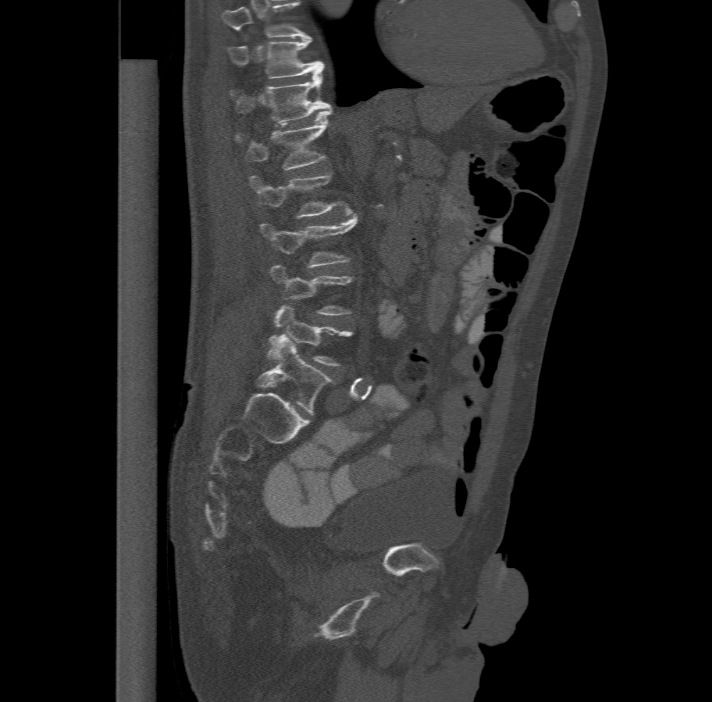 CT spine — the image is 477 mm wide — sagittal view
Coordinates as <box>x1,y1,x2,y2</box>. This scan's labels start at T11 at the top and end at L6 at the bottom. These labels give the spine a sixth lumbar vertebra, L6, below L5. Vertebrae labeled: T11 at <box>227,36,323,78</box>, T12 at <box>231,70,330,124</box>, L1 at <box>236,109,330,169</box>, L2 at <box>250,171,334,217</box>, L3 at <box>261,213,358,266</box>, L4 at <box>270,264,351,314</box>, L5 at <box>267,304,351,365</box>, L6 at <box>259,335,331,415</box>.